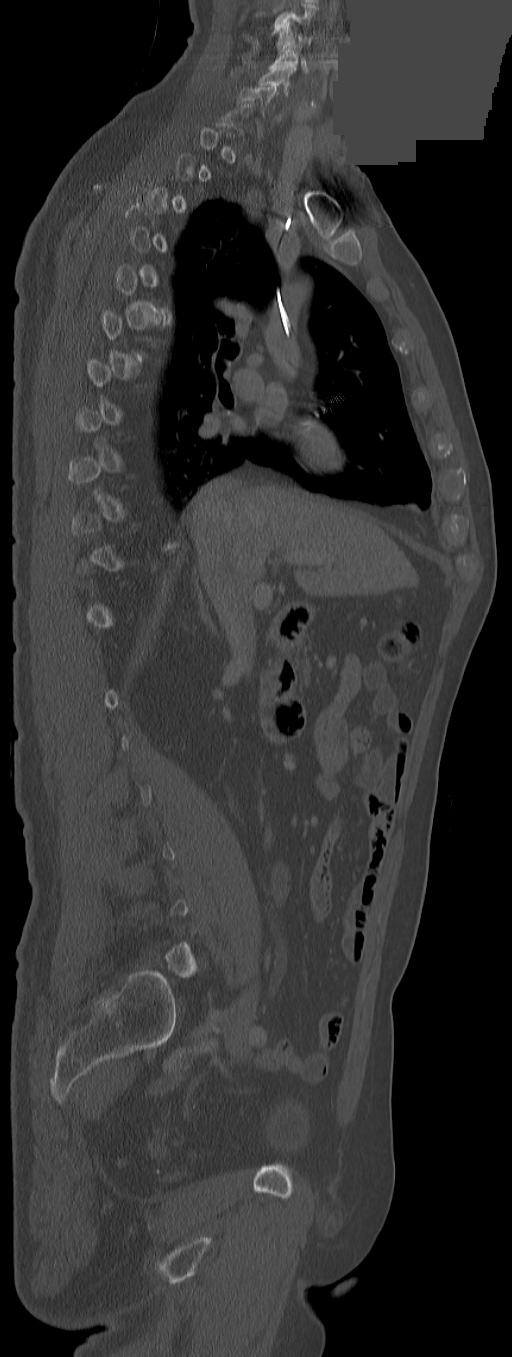
Spine CT; sagittal view; 512x1357 px; a portion of the image is blanked out (constant pixel value). Coordinates as <box>x1,y1,x2,y2</box>. Not every vertebra on this slice has a box: a vertebra is boxed only from the first to the last slice where its cross-section is at least a third of its largest, and this slice is outside that range for at least one of them. The highest labeled vertebra in this scan is C3; the lowest is L5. 4 vertebrae labeled — C6 at <box>237,86,276,112</box>; C5 at <box>259,67,295,94</box>; C4 at <box>268,45,308,71</box>; C3 at <box>276,21,313,53</box>.